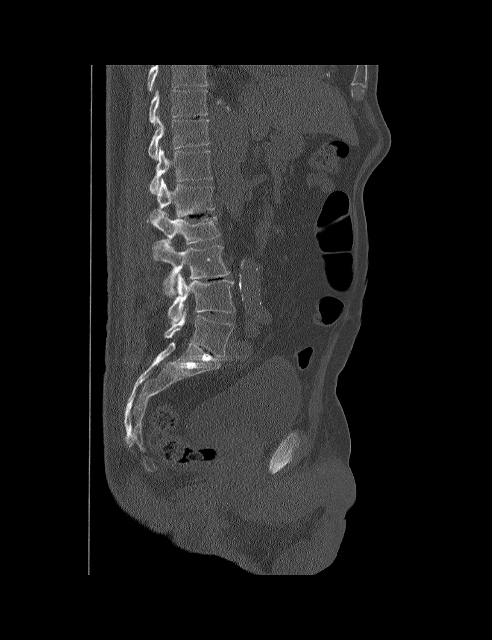
CT. sagittal view. bone-window reconstruction
Coordinates as <box>x1,y1,x2,y2</box>.
The highest labeled vertebra in this scan is T10; the lowest is L5.
Vertebra bounding boxes:
- T10: <box>149,90,207,123</box>
- T11: <box>148,117,209,159</box>
- T12: <box>149,147,212,193</box>
- L1: <box>150,178,214,222</box>
- L2: <box>154,211,220,244</box>
- L3: <box>152,240,230,298</box>
- L4: <box>168,273,235,324</box>
- L5: <box>164,308,233,357</box>